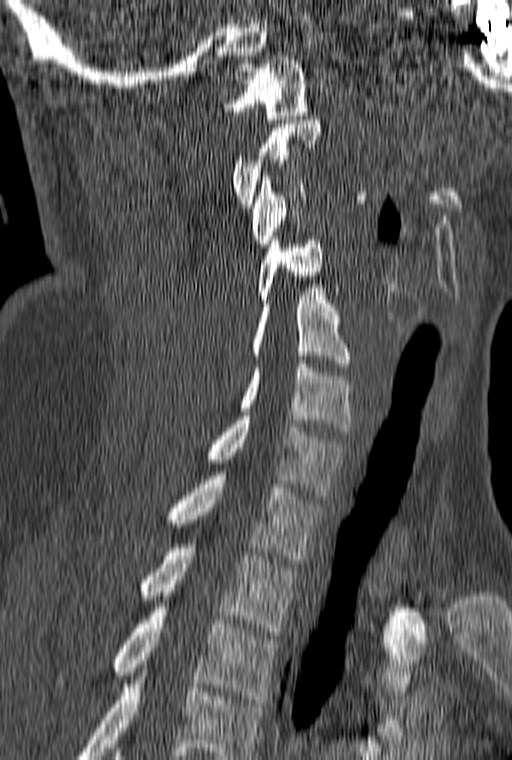

CT · sagittal view · bone window

Bounding boxes as [x1, y1, x2, y2] in pixel coordinates. The highest labeled vertebra in this scan is C1; the lowest is T3. 10 vertebrae labeled — C1 at [220, 56, 307, 119]; C2 at [232, 120, 320, 207]; C3 at [252, 172, 306, 247]; C4 at [257, 236, 322, 303]; C5 at [252, 288, 349, 367]; C6 at [239, 360, 352, 431]; C7 at [209, 416, 346, 495]; T1 at [167, 472, 325, 563]; T2 at [142, 544, 298, 635]; T3 at [54, 604, 279, 703].